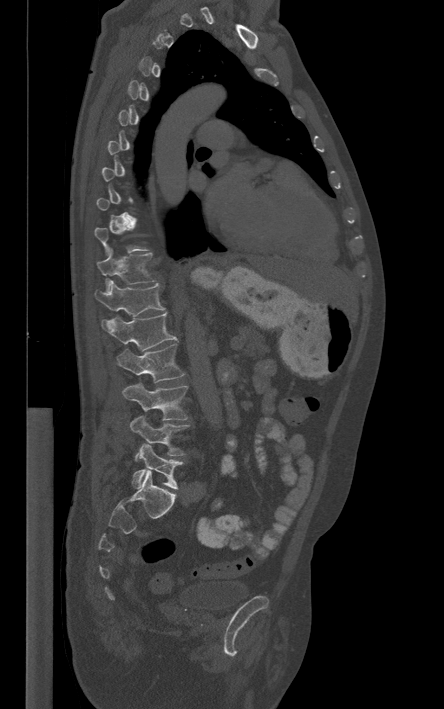
CT. sagittal view
A vertebra gets a box only on the slices from the first to the last where its cross-section is at least a third of its largest; on a slice outside that range it gets none.
<vertebrae><v name="T11" x1="97" y1="248" x2="155" y2="291"/><v name="T12" x1="94" y1="280" x2="164" y2="316"/><v name="L1" x1="101" y1="312" x2="178" y2="350"/><v name="L2" x1="116" y1="344" x2="184" y2="382"/><v name="L3" x1="123" y1="382" x2="188" y2="420"/><v name="L4" x1="130" y1="415" x2="189" y2="460"/><v name="L5" x1="132" y1="443" x2="183" y2="489"/></vertebrae>